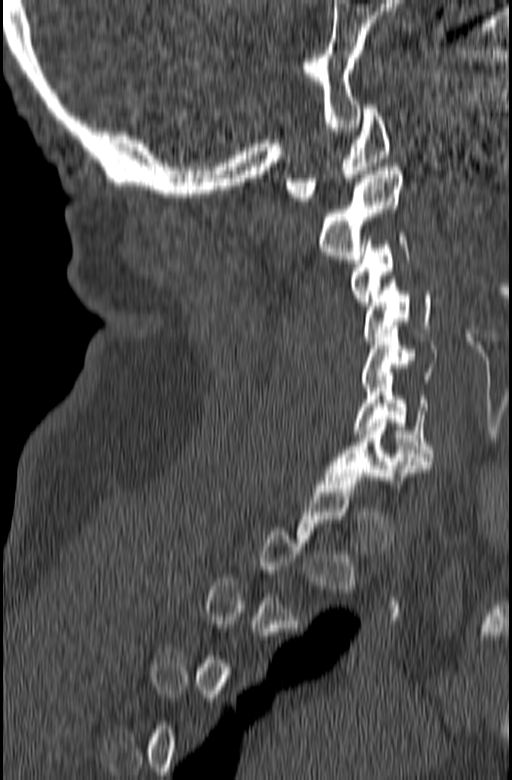

Computed tomography of the spine. sagittal view
Box values are [left, top, right, bottom] in pixels.
A vertebra is boxed only from the first to the last slice where its cross-section is at least a third of its largest; slices outside that range leave it without a box.
{"vertebrae":{"C7":[324,419,431,488],"C6":[352,376,434,461],"C5":[361,322,437,391],"C4":[364,279,431,340],"C3":[349,233,409,305],"C2":[318,167,403,263],"C1":[286,105,391,201]}}